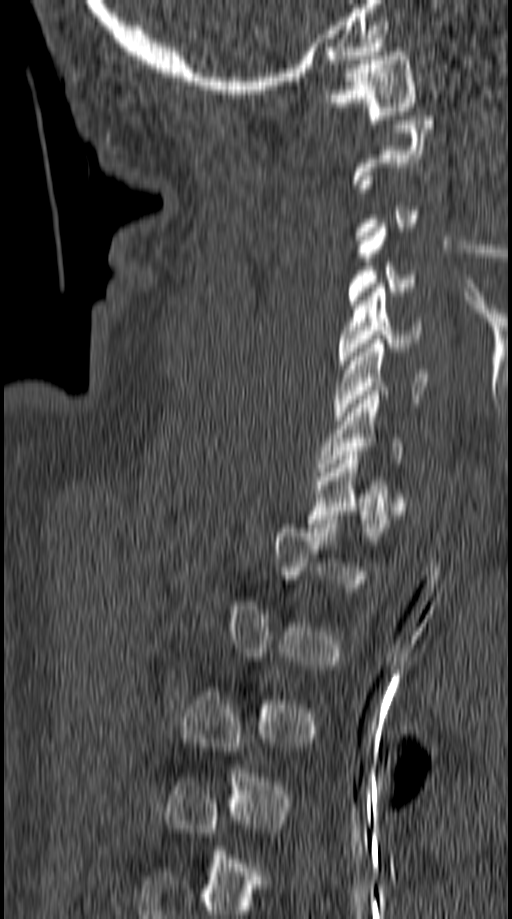 CT, spine · sagittal view · 512x919 px
Not every vertebra on this slice has a box: a vertebra is boxed only from the first to the last slice where its cross-section is at least a third of its largest, and this slice is outside that range for at least one of them.
<vertebrae><v name="C1" x1="322" y1="52" x2="417" y2="119"/><v name="C4" x1="346" y1="223" x2="414" y2="308"/><v name="C5" x1="338" y1="283" x2="423" y2="364"/><v name="C6" x1="333" y1="339" x2="428" y2="420"/><v name="C7" x1="317" y1="387" x2="402" y2="471"/><v name="T1" x1="307" y1="451" x2="404" y2="536"/></vertebrae>